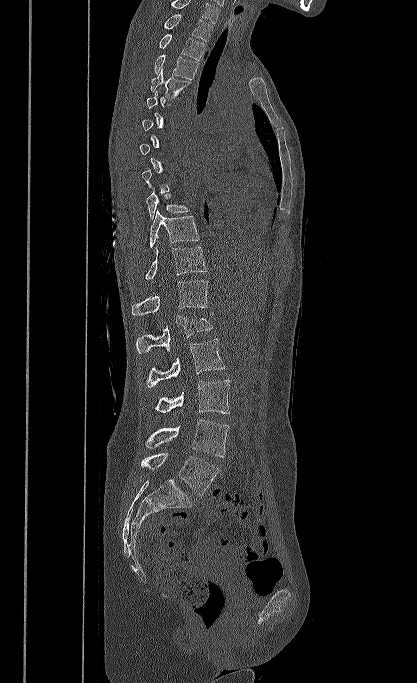
CT. sagittal view. bone-window reconstruction
A vertebra is boxed only from the first to the last slice where its cross-section is at least a third of its largest; slices outside that range leave it without a box.
In this scan, the topmost labeled vertebra is T1 and the lowest is L5.
<vertebrae><v name="T1" x1="163" y1="14" x2="212" y2="41"/><v name="T2" x1="159" y1="34" x2="204" y2="60"/><v name="T3" x1="154" y1="54" x2="198" y2="79"/><v name="T4" x1="150" y1="68" x2="191" y2="98"/><v name="T9" x1="146" y1="187" x2="190" y2="219"/><v name="T10" x1="150" y1="210" x2="199" y2="249"/><v name="T11" x1="145" y1="246" x2="207" y2="280"/><v name="T12" x1="132" y1="280" x2="208" y2="315"/><v name="L1" x1="136" y1="314" x2="213" y2="353"/><v name="L2" x1="146" y1="339" x2="225" y2="387"/><v name="L3" x1="154" y1="380" x2="230" y2="413"/><v name="L4" x1="145" y1="420" x2="229" y2="457"/><v name="L5" x1="141" y1="453" x2="219" y2="495"/></vertebrae>